Computed tomography of the spine — sagittal view — 512x933 px — scan covers 10 annotated vertebrae
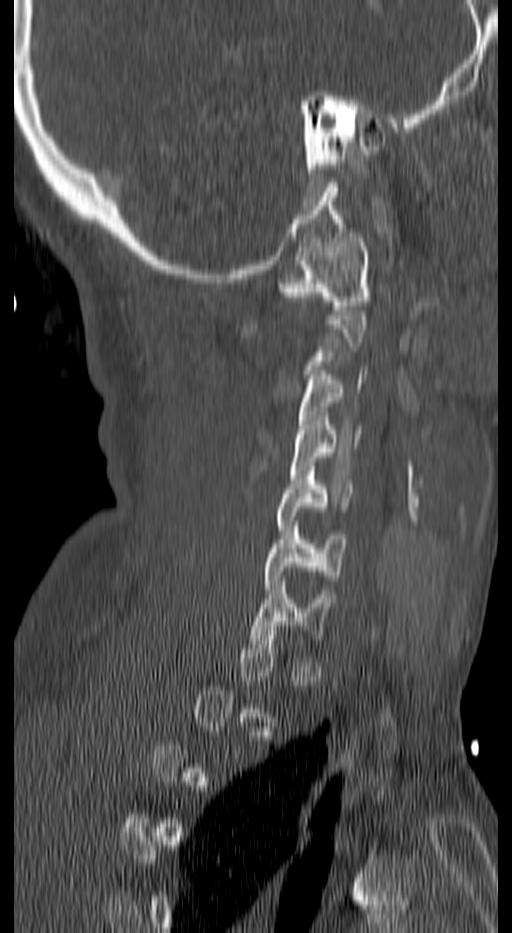 A vertebra is boxed only from the first to the last slice where its cross-section is at least a third of its largest; slices outside that range leave it without a box.
<vertebrae><v name="C1" x1="279" y1="233" x2="370" y2="310"/><v name="C3" x1="297" y1="370" x2="366" y2="438"/><v name="C4" x1="290" y1="416" x2="362" y2="479"/><v name="C5" x1="276" y1="466" x2="355" y2="534"/><v name="C6" x1="265" y1="521" x2="348" y2="593"/><v name="C7" x1="250" y1="581" x2="333" y2="644"/></vertebrae>